CT — sagittal view — 25 vertebrae labeled in this scan — a region of this slice is masked with a uniform fill
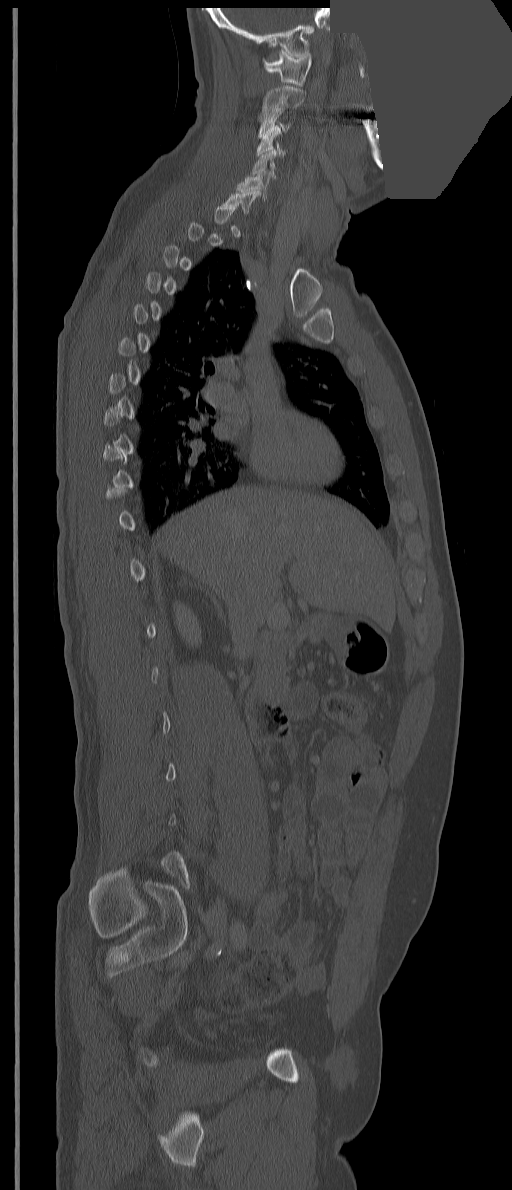

Boxes are (x1, y1, x2, y2) in pixels.
Each vertebra is boxed only on the slices from the first to the last where its cross-section reaches a third of its largest, so a slice outside that range leaves it unboxed.
C7: (220, 190, 261, 214)
C6: (237, 170, 270, 198)
C5: (252, 150, 277, 178)
C4: (256, 128, 285, 156)
C3: (258, 115, 290, 138)
C2: (261, 86, 305, 117)
C1: (262, 50, 311, 86)